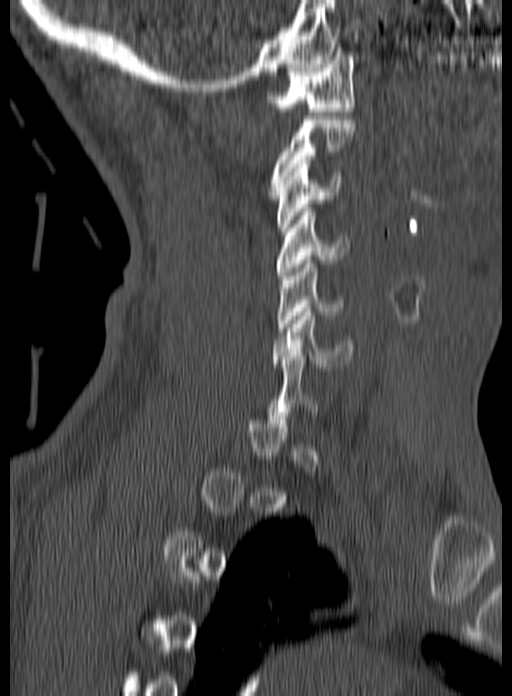 Spine CT · sagittal view · Bone window (WL 400, WW 1800)
A vertebra gets a box only on the slices from the first to the last where its cross-section is at least a third of its largest; on a slice outside that range it gets none.
<vertebrae><v name="C6" x1="272" y1="308" x2="352" y2="367"/><v name="C5" x1="276" y1="260" x2="346" y2="331"/><v name="C4" x1="276" y1="208" x2="350" y2="279"/><v name="C3" x1="276" y1="160" x2="342" y2="231"/><v name="C2" x1="269" y1="116" x2="355" y2="195"/><v name="C1" x1="265" y1="48" x2="355" y2="111"/></vertebrae>